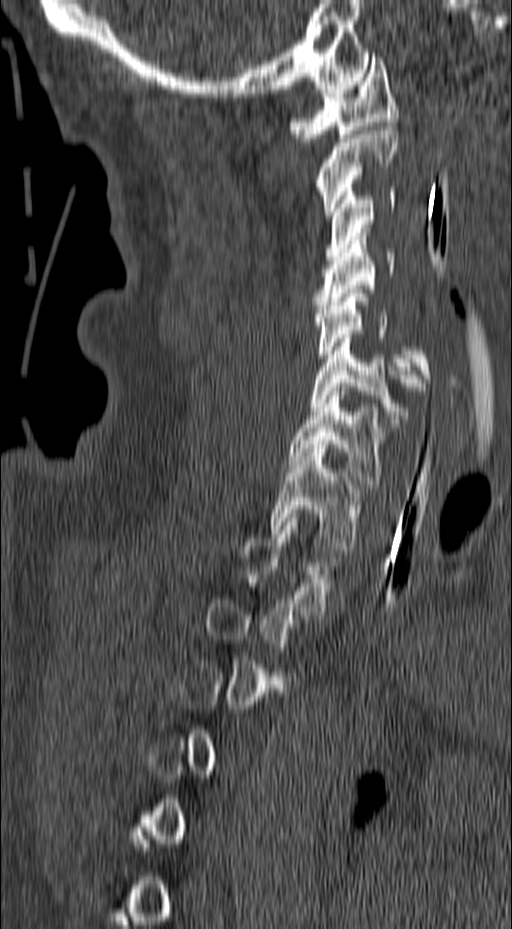 CT, spine. sagittal view. Bone window (WL 400, WW 1800). 512x929 px

Each vertebra is boxed only on the slices from the first to the last where its cross-section reaches a third of its largest, so a slice outside that range leaves it unboxed.
<vertebrae><v name="C1" x1="289" y1="57" x2="398" y2="142"/><v name="C2" x1="314" y1="126" x2="398" y2="215"/><v name="C3" x1="325" y1="188" x2="395" y2="260"/><v name="C4" x1="311" y1="232" x2="395" y2="309"/><v name="C5" x1="314" y1="289" x2="432" y2="386"/><v name="C6" x1="311" y1="334" x2="425" y2="423"/><v name="C7" x1="288" y1="387" x2="388" y2="484"/><v name="T1" x1="269" y1="448" x2="362" y2="549"/><v name="T2" x1="242" y1="514" x2="338" y2="615"/></vertebrae>